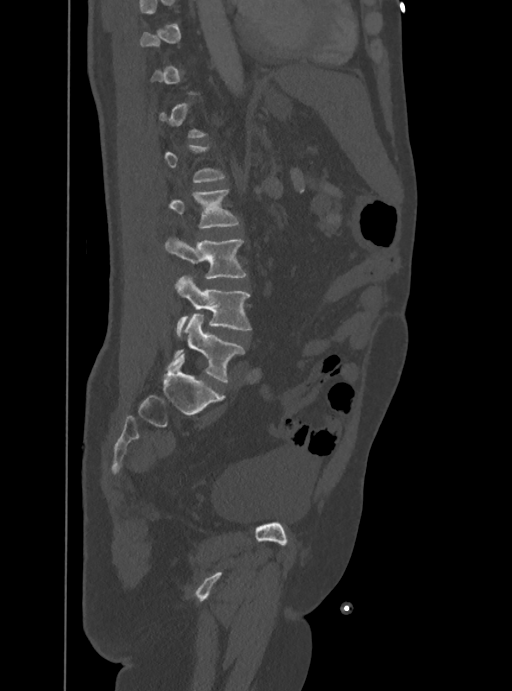 Spine CT — sagittal reformat. Boxes: x1 y1 x2 y2 (pixel coords, space-separated).
A vertebra is boxed only from the first to the last slice where its cross-section is at least a third of its largest; slices outside that range leave it without a box.
Vertebra bounding boxes:
- L5: 173 314 244 381
- L4: 175 276 251 336
- L3: 165 238 247 278
- L2: 169 189 239 228